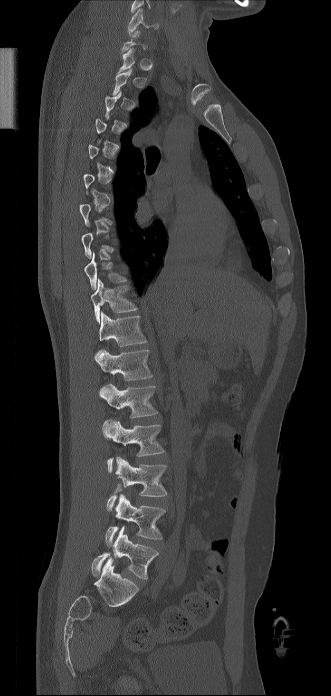

CT. sagittal view. 331x696 px. Boxes are (x1, y1, x2, y2) in pixels. Not every vertebra on this slice has a box: a vertebra is boxed only from the first to the last slice where its cross-section is at least a third of its largest, and this slice is outside that range for at least one of them. 10 vertebrae labeled — L5 at (92, 525, 158, 579); L4 at (105, 494, 165, 545); L3 at (107, 457, 167, 511); L2 at (103, 419, 164, 472); L1 at (99, 384, 158, 418); T12 at (94, 349, 152, 380); T11 at (99, 312, 146, 346); T10 at (91, 279, 137, 322); T9 at (84, 252, 126, 290); C6 at (128, 8, 158, 35).